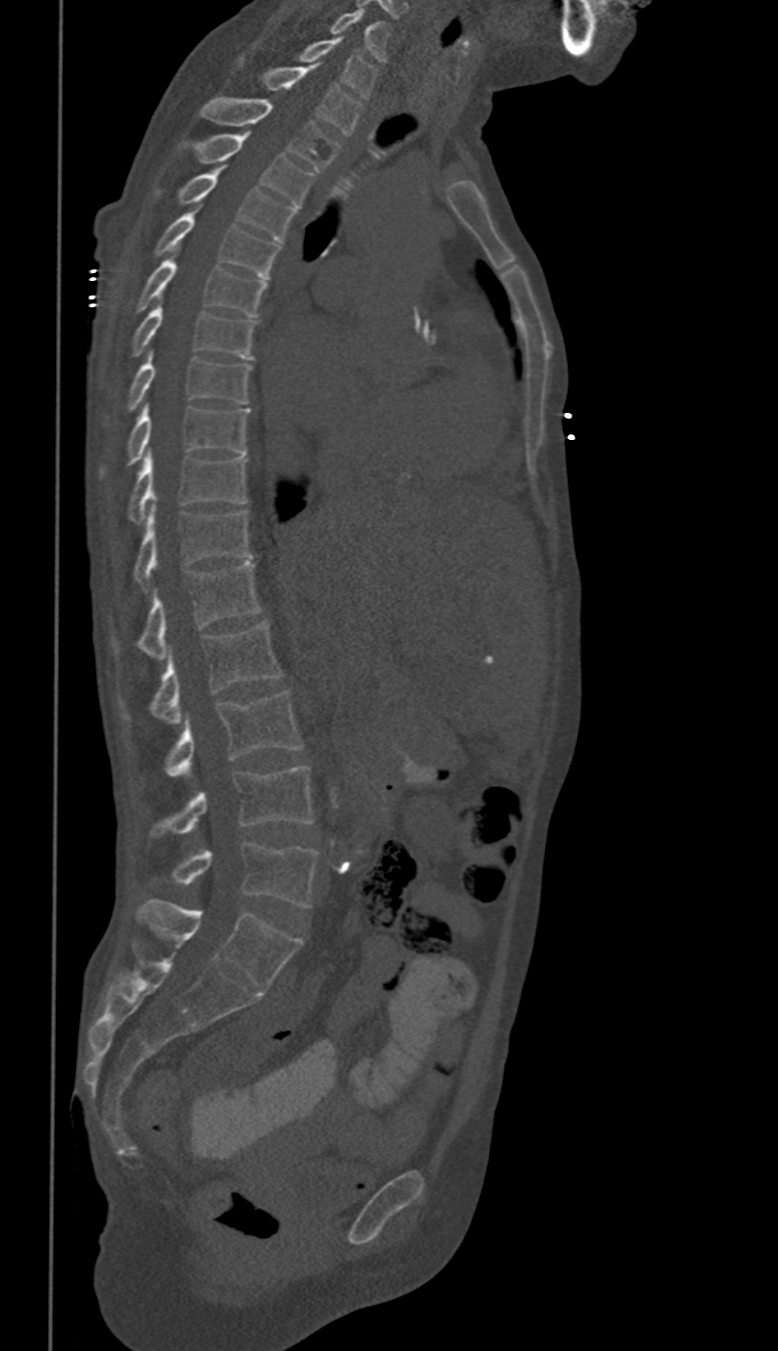 CT, spine · sagittal view

Boxes are (x1, y1, x2, y2) in pixels.
In these labels the spine has no T12: the thoracic vertebrae end at T11, and L1 comes next.
Vertebra bounding boxes:
- C6: (331, 8, 389, 62)
- C7: (299, 36, 376, 97)
- T1: (264, 65, 361, 135)
- T2: (199, 98, 339, 171)
- T3: (179, 134, 313, 206)
- T4: (155, 167, 297, 242)
- T5: (153, 214, 279, 277)
- T6: (135, 249, 265, 317)
- T7: (131, 298, 254, 359)
- T8: (126, 352, 250, 411)
- T9: (100, 405, 248, 477)
- T10: (126, 452, 248, 522)
- T11: (134, 509, 250, 588)
- L1: (112, 563, 259, 657)
- L2: (120, 620, 282, 724)
- L3: (164, 692, 301, 775)
- L4: (149, 767, 312, 837)
- L5: (169, 843, 316, 906)